CT spine · sagittal reformat · Bone window (WL 400, WW 1800) · 392x1568 px · part of the image has been replaced by a constant value
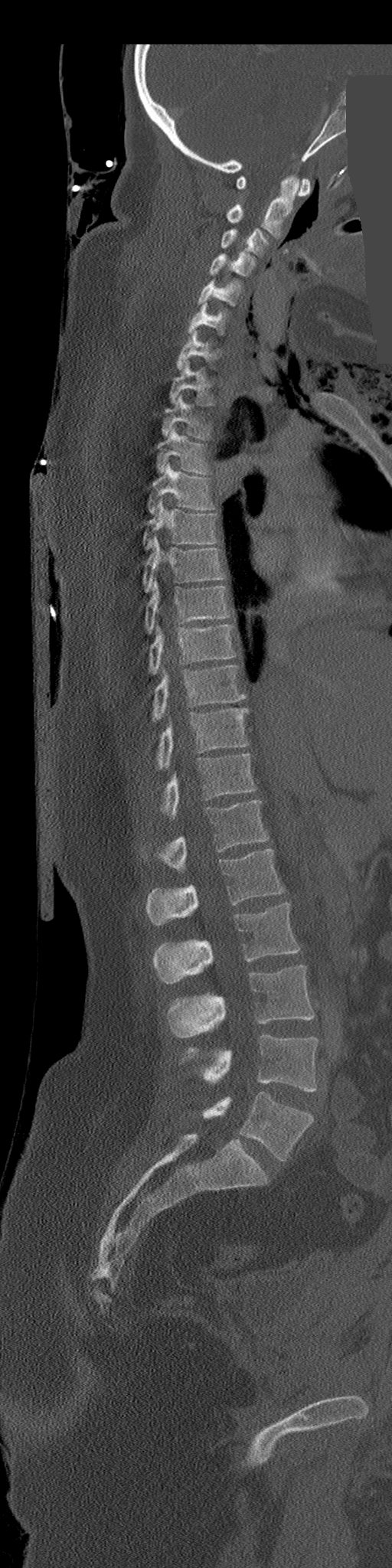

<vertebrae><v name="C1" x1="236" y1="175" x2="310" y2="196"/><v name="C2" x1="227" y1="175" x2="299" y2="237"/><v name="C3" x1="221" y1="228" x2="268" y2="256"/><v name="C4" x1="210" y1="253" x2="256" y2="276"/><v name="C5" x1="198" y1="280" x2="241" y2="306"/><v name="C6" x1="187" y1="303" x2="227" y2="335"/><v name="C7" x1="177" y1="331" x2="219" y2="369"/><v name="T1" x1="169" y1="360" x2="215" y2="405"/><v name="T2" x1="162" y1="394" x2="211" y2="439"/><v name="T3" x1="157" y1="427" x2="209" y2="474"/><v name="T4" x1="147" y1="462" x2="215" y2="514"/><v name="T5" x1="143" y1="498" x2="217" y2="550"/><v name="T6" x1="143" y1="536" x2="227" y2="592"/><v name="T7" x1="145" y1="579" x2="232" y2="633"/><v name="T8" x1="149" y1="625" x2="236" y2="674"/><v name="T9" x1="153" y1="665" x2="245" y2="721"/><v name="T10" x1="157" y1="708" x2="249" y2="769"/><v name="T11" x1="161" y1="754" x2="255" y2="818"/><v name="T12" x1="142" y1="800" x2="268" y2="871"/><v name="L1" x1="147" y1="849" x2="283" y2="925"/><v name="L2" x1="153" y1="903" x2="299" y2="984"/><v name="L3" x1="168" y1="965" x2="314" y2="1037"/><v name="L4" x1="183" y1="1034" x2="318" y2="1092"/><v name="L5" x1="202" y1="1091" x2="314" y2="1161"/></vertebrae>